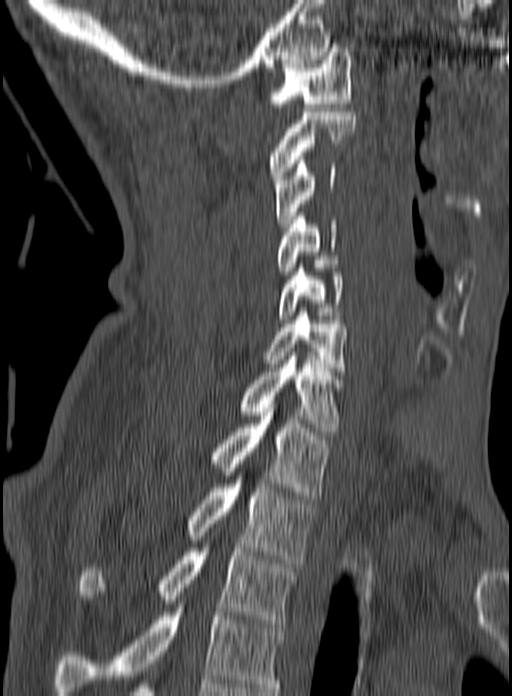
CT spine; sagittal view
The highest labeled vertebra in this scan is C1; the lowest is T3.
<vertebrae><v name="C1" x1="268" y1="48" x2="352" y2="111"/><v name="C2" x1="267" y1="112" x2="355" y2="179"/><v name="C3" x1="275" y1="156" x2="335" y2="231"/><v name="C4" x1="277" y1="212" x2="336" y2="275"/><v name="C5" x1="278" y1="264" x2="344" y2="319"/><v name="C6" x1="263" y1="308" x2="347" y2="375"/><v name="C7" x1="238" y1="356" x2="342" y2="435"/><v name="T1" x1="209" y1="400" x2="332" y2="499"/><v name="T2" x1="184" y1="464" x2="314" y2="563"/><v name="T3" x1="78" y1="544" x2="298" y2="627"/></vertebrae>